Computed tomography of the spine — image 162 mm wide — sagittal view — Bone window (WL 400, WW 1800) — 11 vertebrae labeled in this scan
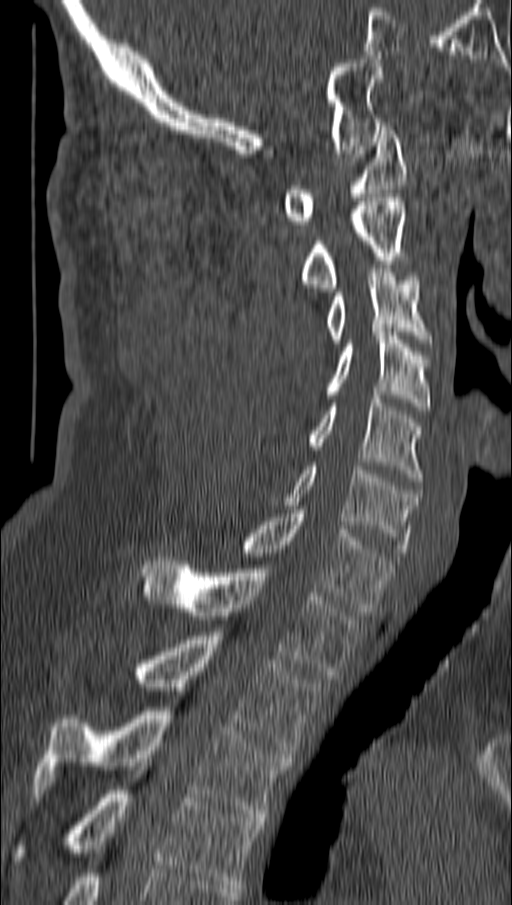
<vertebrae><v name="C1" x1="282" y1="126" x2="405" y2="224"/><v name="C2" x1="301" y1="198" x2="405" y2="291"/><v name="C3" x1="327" y1="269" x2="430" y2="343"/><v name="C4" x1="327" y1="332" x2="430" y2="410"/><v name="C5" x1="308" y1="395" x2="420" y2="481"/><v name="C6" x1="286" y1="466" x2="420" y2="552"/><v name="C7" x1="241" y1="510" x2="392" y2="611"/><v name="T1" x1="140" y1="557" x2="357" y2="679"/><v name="T2" x1="134" y1="632" x2="319" y2="754"/><v name="T3" x1="36" y1="707" x2="291" y2="817"/><v name="T4" x1="14" y1="786" x2="259" y2="888"/></vertebrae>